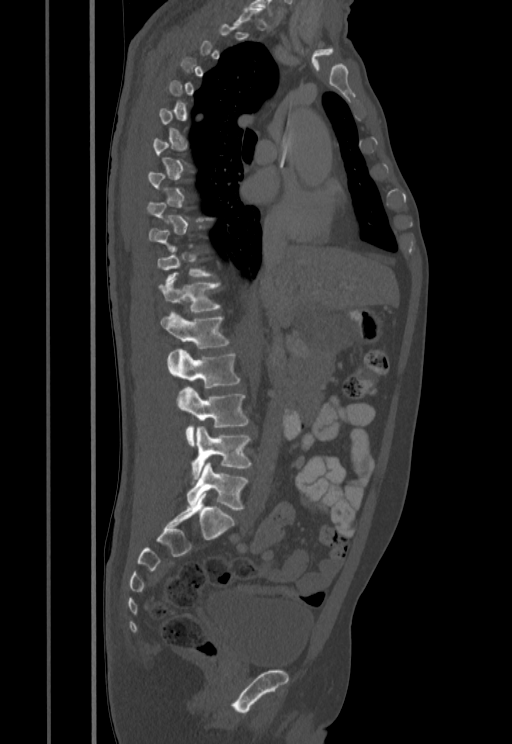

CT; sagittal view
Box edges are left/top/right/bottom in pixels.
A vertebra is boxed only from the first to the last slice where its cross-section is at least a third of its largest; slices outside that range leave it without a box.
Vertebra bounding boxes:
- L5: left=187, top=461, right=248, bottom=510
- L4: left=191, top=426, right=251, bottom=481
- L3: left=178, top=387, right=249, bottom=446
- L2: left=168, top=349, right=240, bottom=387
- L1: left=161, top=312, right=228, bottom=348
- T12: left=159, top=277, right=219, bottom=313